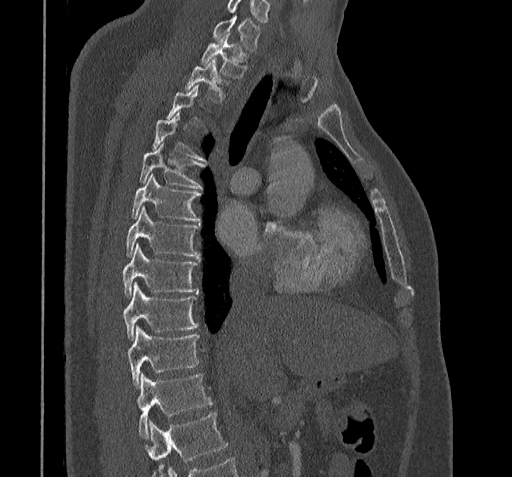
CT, spine; sagittal view; 512x477 px
Each vertebra maps to its box as [x1, y1, x2, y2], the pixel coordinates of its top-left and bottom-right corners.
Each vertebra is boxed only on the slices from the first to the last where its cross-section reaches a third of its largest, so a slice outside that range leaves it unboxed.
Where the bottom of the scan cuts through a vertebra, that vertebra gets no label or box.
Labels in this scan begin with C7 at the top and end with T11 at the bottom.
{"vertebrae":{"C7":[212,16,259,51],"T1":[201,33,247,78],"T2":[186,59,226,102],"T5":[139,143,205,188],"T6":[132,175,201,221],"T7":[127,206,199,258],"T8":[122,245,197,298],"T9":[122,282,197,341],"T10":[127,326,197,387],"T11":[136,374,210,437]}}